CT · sagittal view · bone window · 16 vertebrae labeled in this scan · 401 mm image width
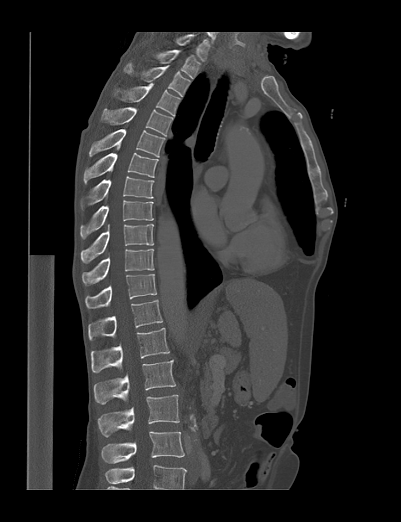
Each box is [x1, y1, x2, y2] in pixels: top-left corner, then bottom-right corner.
Labels in this scan begin with T1 at the top and end with L4 at the bottom.
{"vertebrae":{"L4":[101,431,184,463],"L3":[98,395,179,436],"L2":[94,360,175,403],"L1":[91,328,169,372],"T12":[88,299,162,340],"T11":[85,274,156,308],"T10":[82,248,154,285],"T9":[80,224,153,263],"T8":[80,200,153,238],"T7":[81,176,154,210],"T6":[84,153,158,184],"T5":[89,129,165,157],"T4":[101,107,173,135],"T3":[113,83,181,116],"T2":[124,63,190,96],"T1":[156,50,200,78]}}